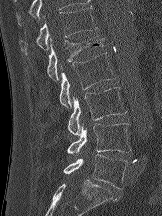

CT spine · sagittal view · bone-window reconstruction
Boxes are (x1, y1, x2, y2) in pixels. The labeled vertebrae in this slice are: L5 at (63, 154, 128, 188), L4 at (66, 123, 131, 154), L3 at (67, 87, 126, 135), L2 at (59, 52, 116, 107), L1 at (47, 36, 104, 80), T12 at (18, 6, 97, 54).